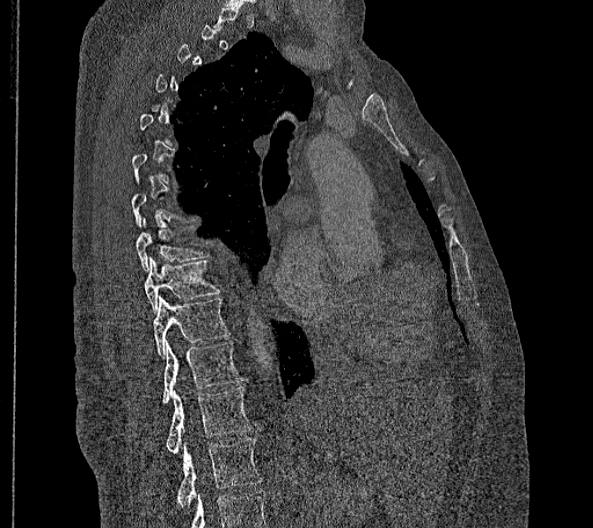

Spine computed tomography. sagittal view
Boxes below are [x1, y1, x2, y2] in pixels.
A vertebra gets a box only on the slices from the first to the last where its cross-section is at least a third of its largest; on a slice outside that range it gets none.
The highest labeled vertebra in this scan is T2; the lowest is L2.
These labels give this spine no T12: after T11 the next vertebra is L1.
{"vertebrae":{"T8":[137,218,209,272],"T9":[145,257,220,313],"T10":[153,295,231,358],"T11":[161,340,242,404],"L1":[167,387,252,453],"L2":[175,437,262,509]}}